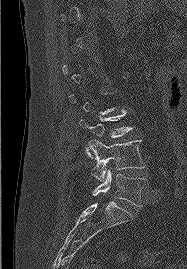

CT — the image is 187 mm wide — sagittal reformat
Each vertebra maps to its box as [x1, y1, x2, y2], the pixel coordinates of its top-left and bottom-right corners.
Not every vertebra on this slice has a box: a vertebra is boxed only from the first to the last slice where its cross-section is at least a third of its largest, and this slice is outside that range for at least one of them.
{"vertebrae":{"L5":[92,169,145,206],"L4":[89,139,144,181],"L3":[79,110,132,158]}}